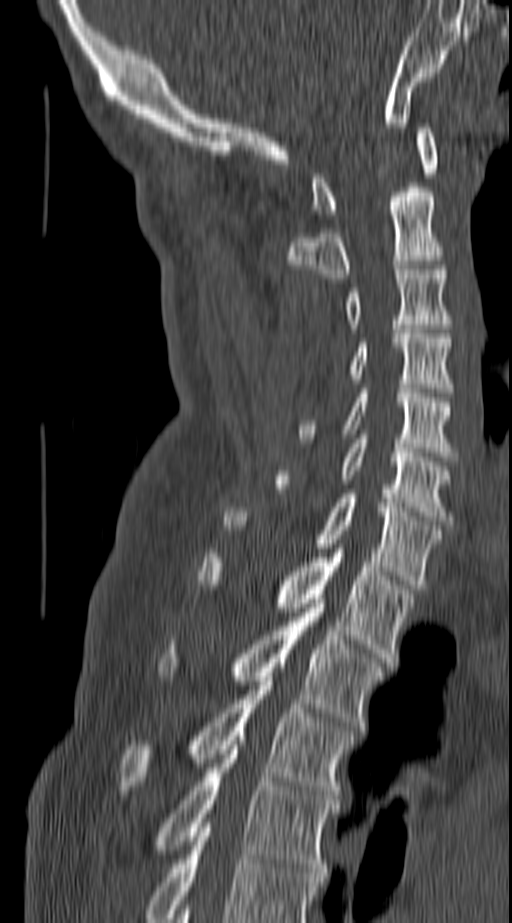

CT spine · sagittal view

Each row gives a vertebra's box as x1, y1, x2, y2 in pixels: top-left corner, then bottom-right corner.
This scan's labels start at C1 at the top and end at T4 at the bottom.
| vertebra | x1 | y1 | x2 | y2 |
|---|---|---|---|---|
| C1 | 312 | 128 | 436 | 214 |
| C2 | 287 | 187 | 443 | 282 |
| C3 | 345 | 265 | 450 | 328 |
| C4 | 349 | 329 | 450 | 392 |
| C5 | 296 | 389 | 454 | 456 |
| C6 | 277 | 434 | 450 | 525 |
| C7 | 224 | 494 | 439 | 589 |
| T1 | 199 | 549 | 414 | 662 |
| T2 | 162 | 603 | 381 | 730 |
| T3 | 122 | 677 | 351 | 799 |
| T4 | 159 | 745 | 337 | 877 |